CT, spine — Sagittal slice 77/154 — bone-window reconstruction
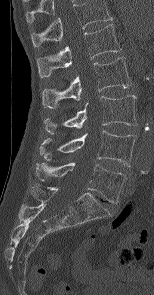

Boxes: x1 y1 x2 y2 (pixel coords, space-separated).
The highest labeled vertebra in this scan is L1; the lowest is L5.
L1: 37 24 121 77
L2: 42 57 131 108
L3: 44 95 136 133
L4: 39 130 136 166
L5: 36 163 127 203